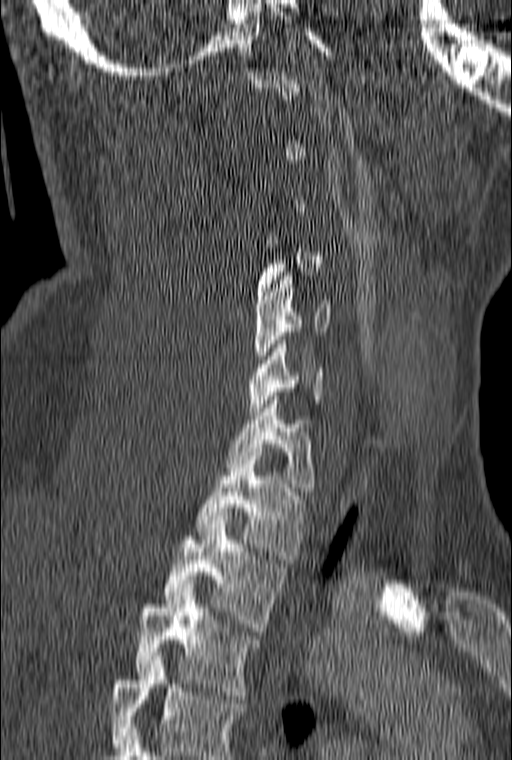

CT; sagittal view; 160 mm across the image
In the table, x1 and y1 are a box's top-left corner and x2 and y2 its bottom-right corner, in pixels.
Not every vertebra on this slice has a box: a vertebra is boxed only from the first to the last slice where its cross-section is at least a third of its largest, and this slice is outside that range for at least one of them.
In this scan, the topmost labeled vertebra is C1 and the lowest is T3.
| vertebra | x1 | y1 | x2 | y2 |
|---|---|---|---|---|
| T3 | 136 | 588 | 259 | 699 |
| T2 | 164 | 520 | 285 | 631 |
| T1 | 193 | 448 | 307 | 559 |
| C7 | 227 | 396 | 314 | 495 |
| C6 | 248 | 336 | 323 | 411 |
| C5 | 254 | 272 | 331 | 367 |